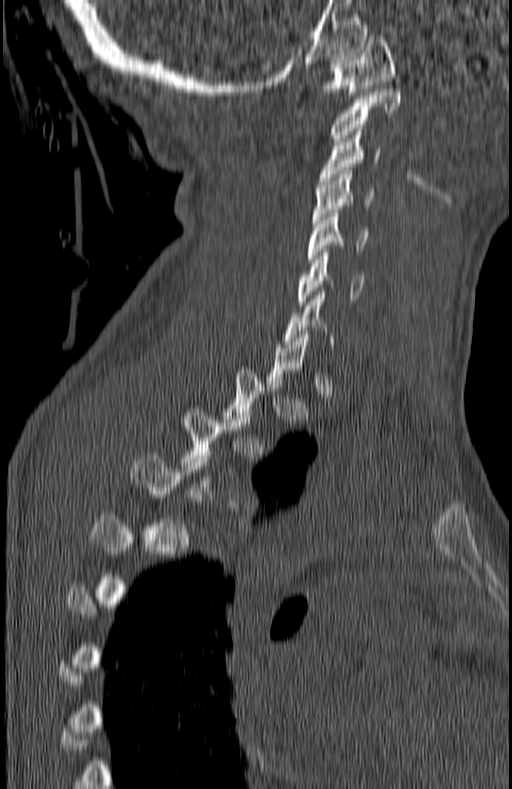 Spine CT; sagittal view; the image is 180 mm wide; bone-window reconstruction; 512x789 px
Each box is [x1, y1, x2, y2] in pixels: top-left corner, then bottom-right corner.
A vertebra gets a box only on the slices from the first to the last where its cross-section is at least a third of its largest; on a slice outside that range it gets none.
{"vertebrae":{"T4":[132,455,239,547],"T3":[182,409,253,497],"C7":[285,292,333,355],"C6":[297,249,364,305],"C5":[308,210,367,262],"C4":[314,171,373,223],"C3":[319,128,380,184],"C2":[331,89,401,141],"C1":[322,32,395,95]}}